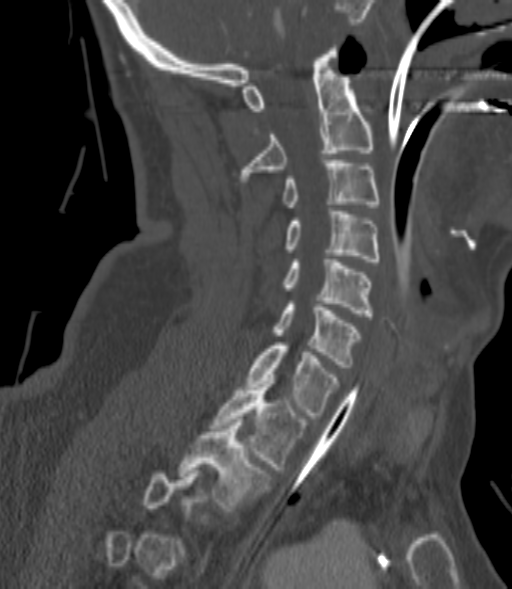

Spine computed tomography; sagittal reformat. Boxes are given in columns x1, y1, x2, y2, the pixel coordinates of their top-left and bottom-right corners.
Each vertebra is boxed only on the slices from the first to the last where its cross-section reaches a third of its largest, so a slice outside that range leaves it unboxed.
| vertebra | x1 | y1 | x2 | y2 |
|---|---|---|---|---|
| C2 | 241 | 48 | 374 | 181 |
| C3 | 282 | 160 | 379 | 207 |
| C4 | 285 | 211 | 379 | 261 |
| C5 | 282 | 259 | 371 | 316 |
| C6 | 274 | 301 | 361 | 367 |
| C7 | 247 | 342 | 338 | 418 |
| T1 | 211 | 378 | 304 | 469 |
| T2 | 180 | 419 | 269 | 511 |